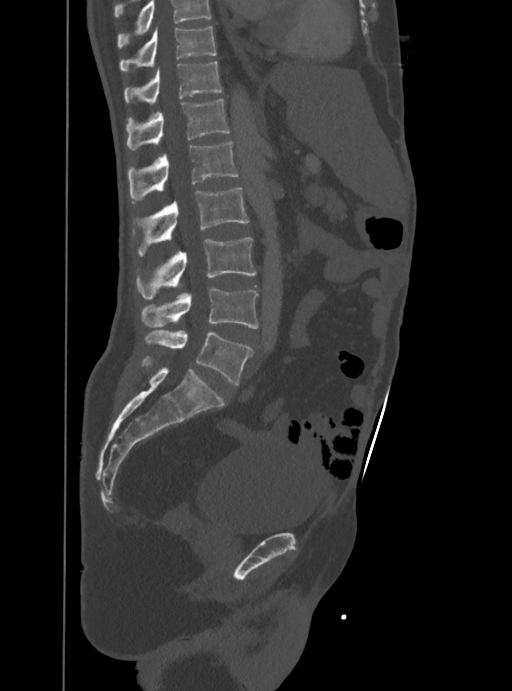 Computed tomography of the spine. 388 mm across the image. sagittal view. 512x691 px

Boxes are given in columns x1, y1, x2, y2, the pixel coordinates of their top-left and bottom-right corners.
Vertebrae that run past the top of the scan are left unlabeled.
| vertebra | x1 | y1 | x2 | y2 |
|---|---|---|---|---|
| T10 | 120 | 26 | 217 | 71 |
| T11 | 124 | 62 | 222 | 104 |
| T12 | 127 | 99 | 228 | 150 |
| L1 | 128 | 141 | 238 | 202 |
| L2 | 133 | 188 | 248 | 254 |
| L3 | 136 | 238 | 256 | 298 |
| L4 | 141 | 287 | 257 | 329 |
| L5 | 145 | 330 | 251 | 385 |